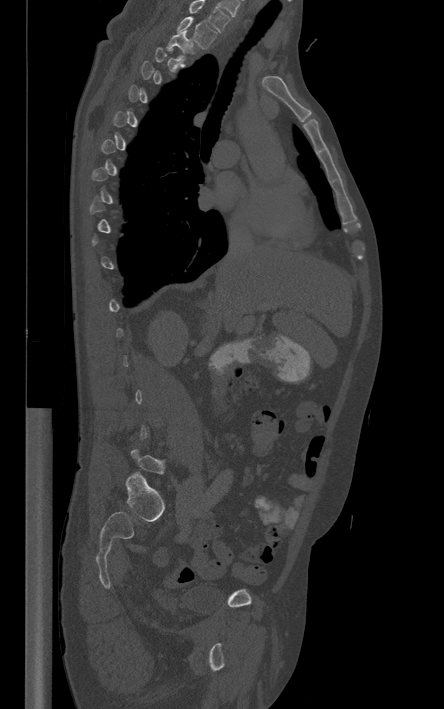
CT. sagittal view. 444 mm wide. 444x709 px
Each vertebra maps to its box as [x1, y1, x2, y2], the pixel coordinates of its top-left and bottom-right corners.
Not every vertebra on this slice has a box: a vertebra is boxed only from the first to the last slice where its cross-section is at least a third of its largest, and this slice is outside that range for at least one of them.
This scan's labels start at T1 at the top and end at L5 at the bottom.
{"vertebrae":{"T1":[177,17,216,48],"T2":[166,30,192,59]}}